Spine computed tomography; sagittal plane, index 257; bone-window reconstruction
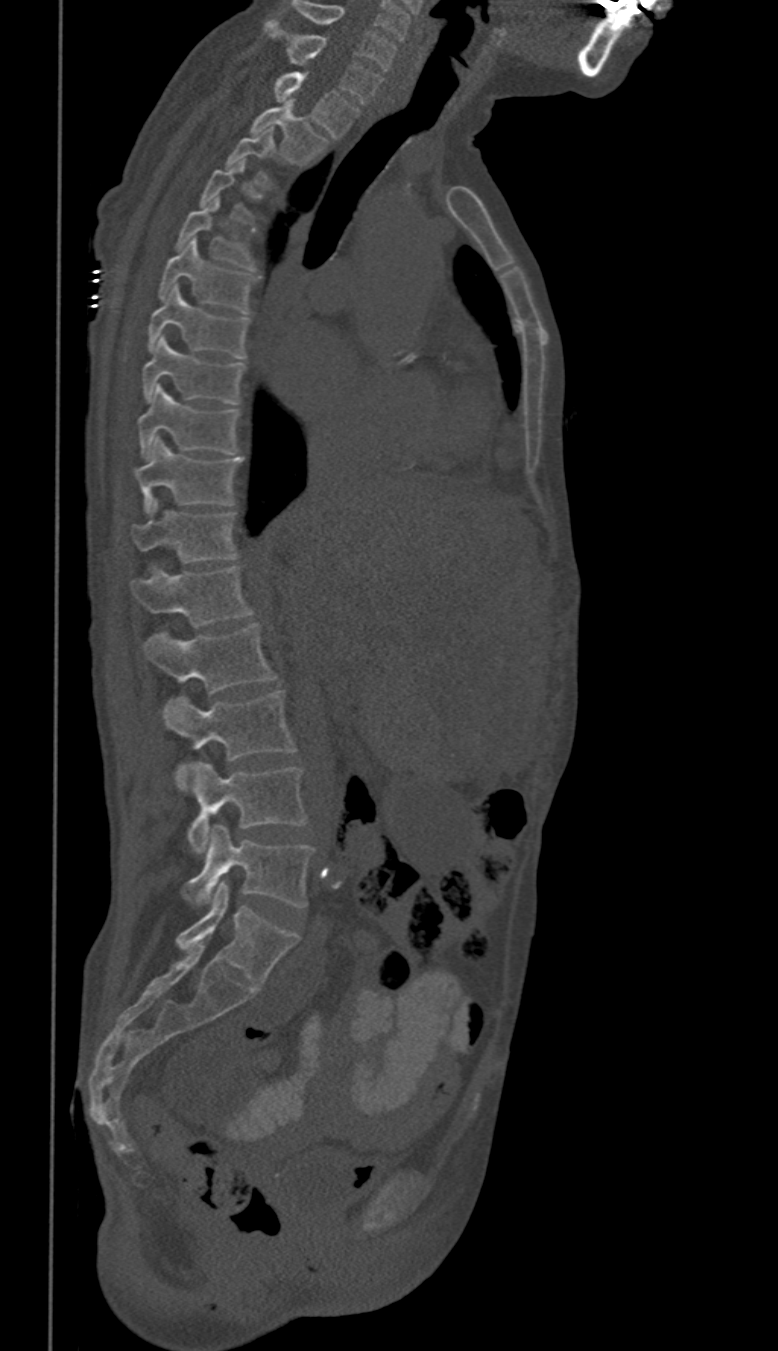 Box edges are left/top/right/bottom in pixels.
Each vertebra is boxed only on the slices from the first to the last where its cross-section reaches a third of its largest, so a slice outside that range leaves it unboxed.
In these labels the thoracic vertebrae end at T11, so L1 follows T11.
C6: left=293, top=1, right=394, bottom=71
C7: left=266, top=20, right=380, bottom=104
T1: left=273, top=72, right=359, bottom=137
T2: left=251, top=103, right=327, bottom=164
T3: left=226, top=129, right=274, bottom=186
T5: left=175, top=198, right=256, bottom=268
T6: left=160, top=238, right=259, bottom=313
T7: left=149, top=285, right=248, bottom=357
T8: left=141, top=336, right=245, bottom=404
T9: left=137, top=387, right=239, bottom=459
T10: left=135, top=438, right=244, bottom=513
T11: left=134, top=500, right=239, bottom=562
L1: left=131, top=565, right=253, bottom=626
L2: left=144, top=623, right=277, bottom=693
L3: left=166, top=689, right=297, bottom=791
L4: left=187, top=763, right=307, bottom=853
L5: left=184, top=825, right=313, bottom=906